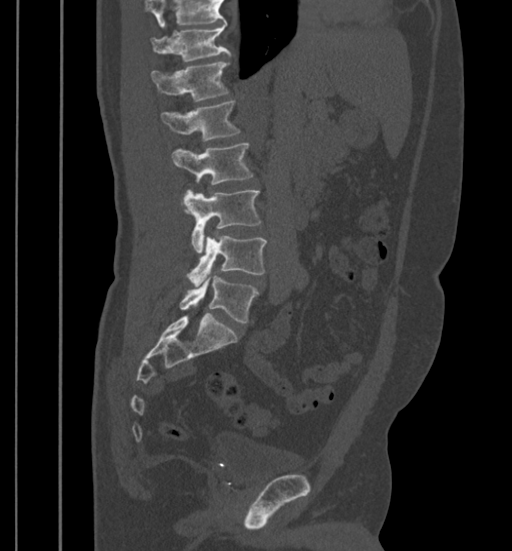

CT. sagittal view. the image spans 399 mm across. bone window
Box edges are left/top/right/bottom in pixels.
No box is given to a vertebra that the top edge of the scan cuts off.
| vertebra | x1 | y1 | x2 | y2 |
|---|---|---|---|---|
| L5 | 180 | 275 | 258 | 323 |
| L4 | 187 | 236 | 267 | 286 |
| L3 | 182 | 190 | 261 | 253 |
| L2 | 172 | 144 | 253 | 185 |
| L1 | 160 | 101 | 240 | 141 |
| T12 | 150 | 62 | 229 | 102 |
| T11 | 151 | 25 | 230 | 62 |